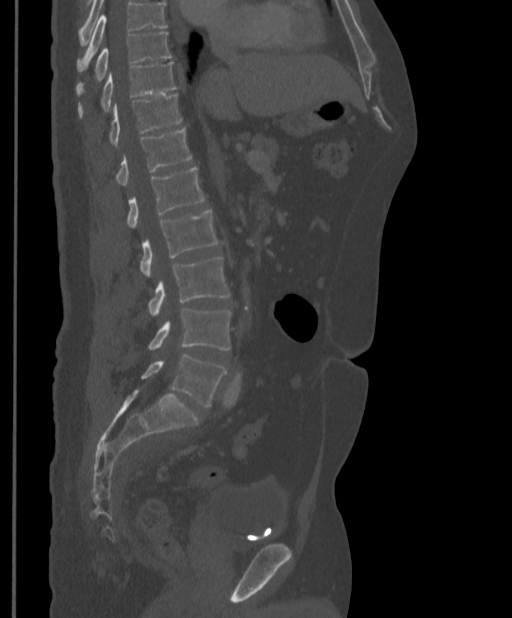

CT — sagittal view — 512x618 px

Boxes: x1 y1 x2 y2 (pixel coords, space-separated).
Where the top of the scan cuts through a vertebra, that vertebra gets no label or box.
Vertebra bounding boxes:
- T9: 77 32 172 94
- T10: 79 62 177 118
- T11: 109 94 182 146
- T12: 116 128 191 185
- L1: 126 166 205 227
- L2: 139 210 218 276
- L3: 148 257 230 315
- L4: 148 308 231 350
- L5: 140 355 226 407